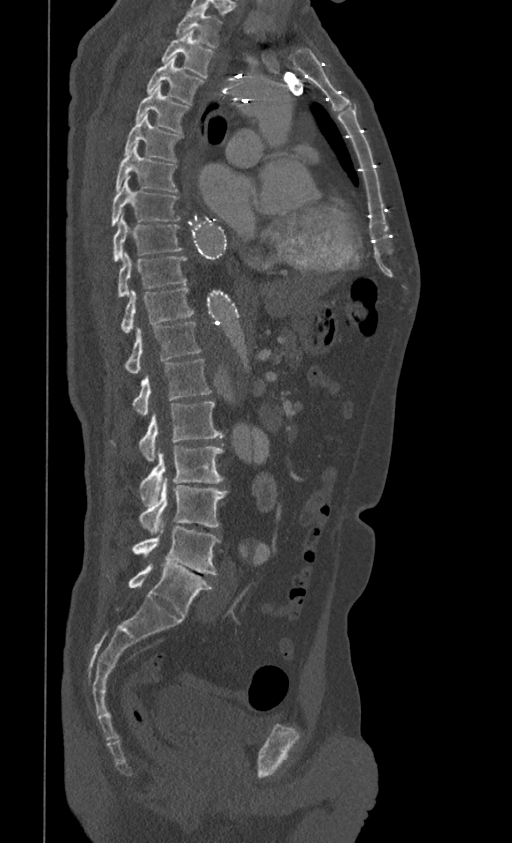 CT, spine — sagittal reformat — the image is 399 mm wide

Each box given as x1,y1,x2,y2. Vertebrae labeled: T1 at x1=176, y1=10, x2=221, y2=48, T2 at x1=160, y1=31, x2=215, y2=78, T3 at x1=147, y1=59, x2=203, y2=104, T4 at x1=136, y1=83, x2=189, y2=133, T5 at x1=124, y1=114, x2=180, y2=161, T6 at x1=115, y1=146, x2=177, y2=192, T7 at x1=111, y1=177, x2=180, y2=225, T8 at x1=113, y1=212, x2=181, y2=261, T9 at x1=118, y1=252, x2=186, y2=296, T10 at x1=122, y1=288, x2=194, y2=333, T11 at x1=126, y1=322, x2=200, y2=373, T12 at x1=132, y1=359, x2=211, y2=416, L1 at x1=140, y1=402, x2=222, y2=461, L2 at x1=140, y1=446, x2=223, y2=506, L3 at x1=140, y1=477, x2=227, y2=534, L4 at x1=132, y1=520, x2=220, y2=574, L5 at x1=128, y1=564, x2=212, y2=618.